CT. sagittal reformat
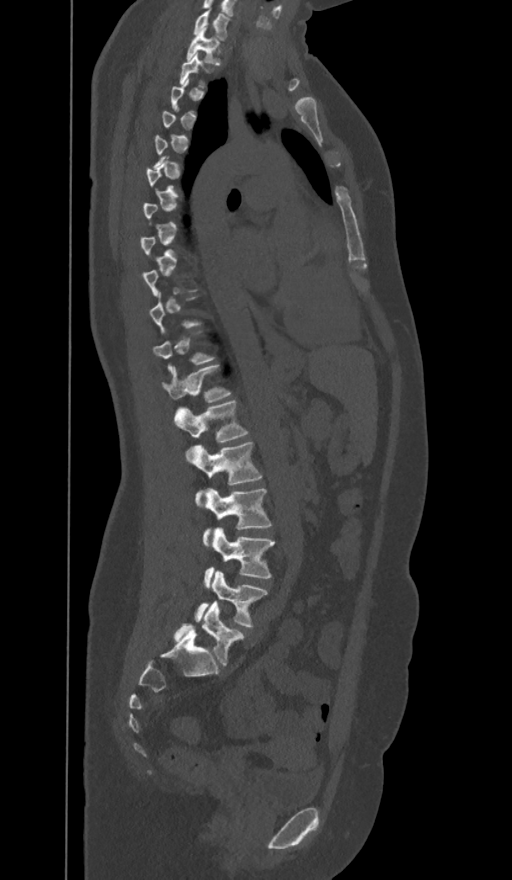

Boxes: x1:y1:x2:y2 in pixels.
A vertebra is boxed only from the first to the last slice where its cross-section is at least a third of its largest; slices outside that range leave it without a box.
The labels name a sixth lumbar vertebra for this spine: L6, after L5.
L6: 174:600:242:666
L5: 196:570:267:627
L4: 205:529:274:585
L3: 204:488:271:544
L2: 186:442:262:503
L1: 174:400:247:443
T12: 163:365:229:401
T1: 187:27:219:64
C7: 194:9:229:40